CT spine — sagittal plane, index 150 — Bone window (WL 400, WW 1800) — scan covers 9 annotated vertebrae
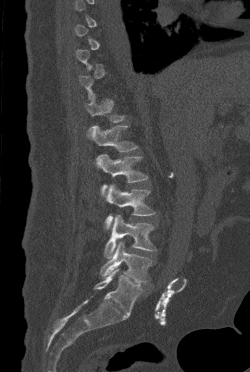
Not every vertebra on this slice has a box: a vertebra is boxed only from the first to the last slice where its cross-section is at least a third of its largest, and this slice is outside that range for at least one of them.
<vertebrae><v name="T12" x1="85" y1="94" x2="124" y2="132"/><v name="L1" x1="87" y1="125" x2="137" y2="152"/><v name="L2" x1="96" y1="154" x2="148" y2="195"/><v name="L3" x1="104" y1="184" x2="155" y2="229"/><v name="L4" x1="104" y1="214" x2="156" y2="258"/><v name="L5" x1="100" y1="241" x2="152" y2="283"/></vertebrae>